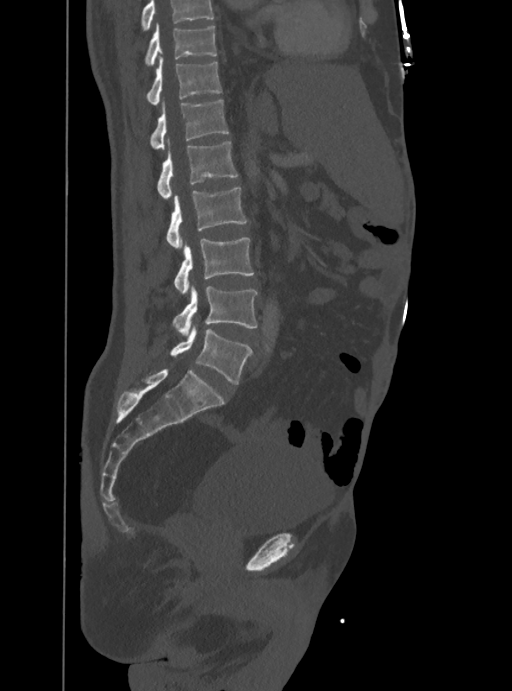
CT spine · sagittal reformat · bone-window reconstruction
Boxes: x1:y1:x2:y2 in pixels. Vertebrae that run past the top of the scan are left unlabeled. The labeled vertebrae in this slice are: T10 at 146:24:217:64, T11 at 148:57:222:106, T12 at 150:99:228:150, L1 at 157:140:238:200, L2 at 166:188:246:248, L3 at 174:238:254:295, L4 at 173:285:256:336, L5 at 170:324:251:384.